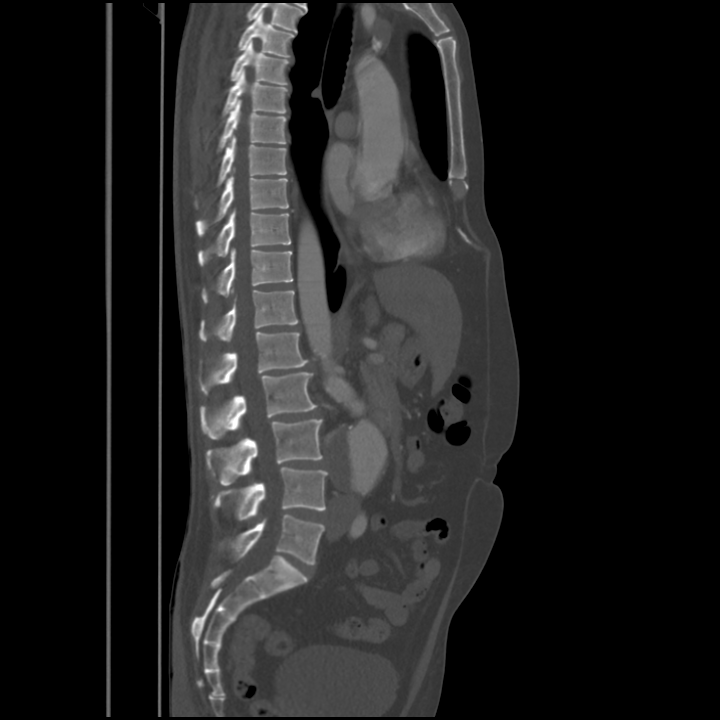

CT. sagittal view. Bone window (WL 400, WW 1800)
Each vertebra maps to its box as [x1, y1, x2, y2], the pixel coordinates of its top-left and bottom-right corners.
{"vertebrae":{"T4":[238,11,295,57],"T5":[230,41,288,85],"T6":[223,70,287,116],"T7":[218,100,286,151],"T8":[216,136,287,186],"T9":[196,175,288,236],"T10":[198,210,291,265],"T11":[202,249,293,302],"T12":[200,290,298,341],"L1":[200,331,308,394],"L2":[200,372,316,439],"L3":[206,420,323,485],"L4":[214,467,328,520],"L5":[229,514,324,564]}}